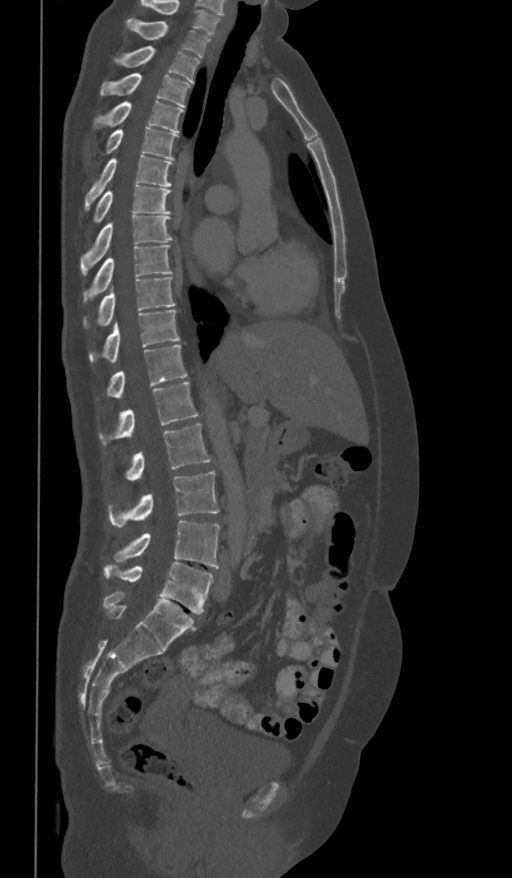
CT — the image is 361 mm wide — sagittal reformat
Boxes are given in columns x1, y1, x2, y2, the pixel coordinates of their top-left and bottom-right corners.
Labels in this scan begin with T1 at the top and end with L5 at the bottom.
| vertebra | x1 | y1 | x2 | y2 |
|---|---|---|---|---|
| T1 | 127 | 19 | 210 | 58 |
| T2 | 115 | 46 | 200 | 83 |
| T3 | 100 | 73 | 192 | 107 |
| T4 | 93 | 101 | 183 | 133 |
| T5 | 105 | 128 | 177 | 160 |
| T6 | 85 | 154 | 172 | 210 |
| T7 | 93 | 185 | 170 | 224 |
| T8 | 81 | 214 | 173 | 275 |
| T9 | 83 | 244 | 172 | 303 |
| T10 | 83 | 277 | 175 | 328 |
| T11 | 89 | 310 | 180 | 363 |
| T12 | 105 | 345 | 187 | 399 |
| L1 | 99 | 382 | 199 | 444 |
| L2 | 123 | 423 | 210 | 480 |
| L3 | 108 | 471 | 219 | 527 |
| L4 | 113 | 521 | 220 | 568 |
| L5 | 103 | 562 | 213 | 613 |